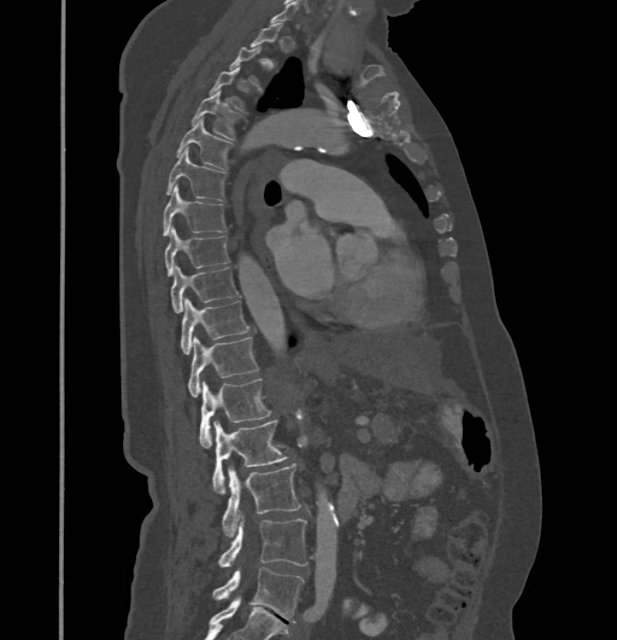 Spine computed tomography · sagittal view · bone window · 617x640 px

Boxes are (x1, y1, x2, y2) in pixels.
Not every vertebra on this slice has a box: a vertebra is boxed only from the first to the last slice where its cross-section is at least a third of its largest, and this slice is outside that range for at least one of them.
These labels give this spine no T12: after T11 the next vertebra is L1.
Vertebra bounding boxes:
- L5: (211, 567, 303, 622)
- L4: (218, 515, 308, 566)
- L3: (222, 465, 300, 536)
- L2: (212, 420, 287, 494)
- L1: (200, 379, 271, 448)
- T11: (188, 337, 259, 396)
- T10: (180, 299, 249, 355)
- T9: (170, 267, 238, 314)
- T8: (164, 229, 230, 275)
- T7: (163, 186, 228, 235)
- T6: (165, 149, 226, 199)
- T5: (176, 119, 232, 171)
- T4: (192, 90, 240, 141)
- T3: (210, 66, 249, 112)
- T2: (229, 46, 262, 89)